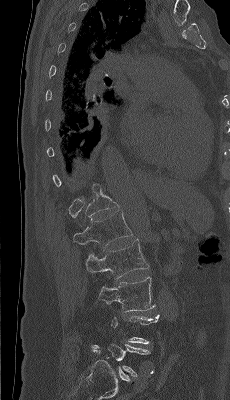

CT. sagittal view. image width 230 mm. Boxes are given in columns x1, y1, x2, y2, the pixel coordinates of their top-left and bottom-right corners.
Not every vertebra on this slice has a box: a vertebra is boxed only from the first to the last slice where its cross-section is at least a third of its largest, and this slice is outside that range for at least one of them.
| vertebra | x1 | y1 | x2 | y2 |
|---|---|---|---|---|
| L5 | 92 | 344 | 149 | 376 |
| L3 | 99 | 277 | 155 | 312 |
| L2 | 85 | 239 | 149 | 279 |
| L1 | 73 | 211 | 133 | 248 |